Computed tomography of the spine — sagittal view — bone-window reconstruction — 152x195 px
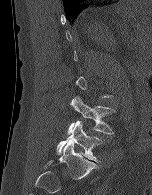 Boxes are given in columns x1, y1, x2, y2, the pixel coordinates of their top-left and bottom-right corners.
Not every vertebra on this slice has a box: a vertebra is boxed only from the first to the last slice where its cross-section is at least a third of its largest, and this slice is outside that range for at least one of them.
| vertebra | x1 | y1 | x2 | y2 |
|---|---|---|---|---|
| L4 | 67 | 96 | 115 | 134 |
| L5 | 56 | 120 | 103 | 162 |